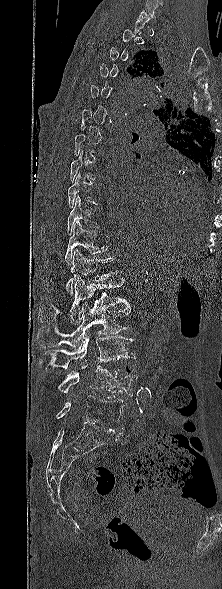
CT spine · sagittal view · bone-window reconstruction
Box edges are left/top/right/bottom in pixels.
A vertebra is boxed only from the first to the last slice where its cross-section is at least a third of its largest; slices outside that range leave it without a box.
| vertebra | x1 | y1 | x2 | y2 |
|---|---|---|---|---|
| L5 | 56 | 395 | 124 | 430 |
| L4 | 58 | 365 | 138 | 396 |
| L3 | 45 | 334 | 135 | 371 |
| L2 | 37 | 302 | 132 | 347 |
| L1 | 38 | 275 | 129 | 324 |
| T12 | 65 | 249 | 121 | 295 |
| T11 | 43 | 220 | 107 | 264 |
| T10 | 66 | 195 | 98 | 234 |